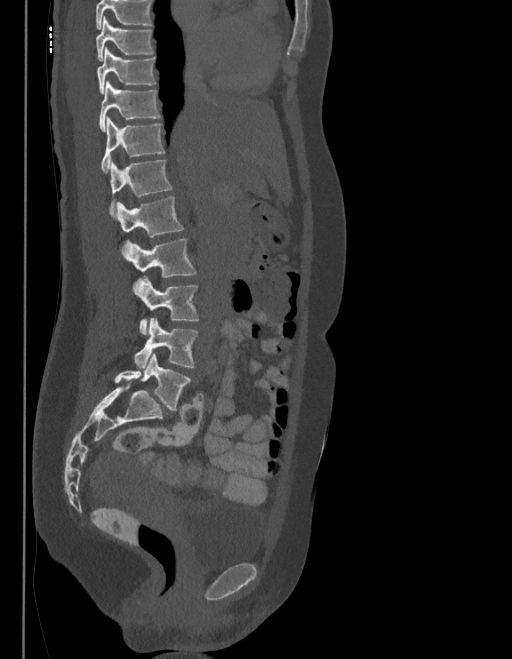 CT, spine; sagittal view; Bone window (WL 400, WW 1800); 512x659 px; the image spans 403 mm across
Bounding boxes as [x1, y1, x2, y2] in pixel coordinates.
No box is given to a vertebra that the top edge of the scan cuts off.
The labels name a sixth lumbar vertebra for this spine: L6, after L5.
L6: [114, 353, 189, 409]
L5: [135, 318, 197, 368]
L4: [133, 277, 198, 334]
L3: [122, 238, 196, 277]
L2: [115, 197, 183, 237]
L1: [110, 159, 172, 212]
T12: [102, 118, 164, 172]
T11: [99, 81, 159, 130]
T10: [96, 48, 155, 94]
T9: [96, 17, 153, 61]